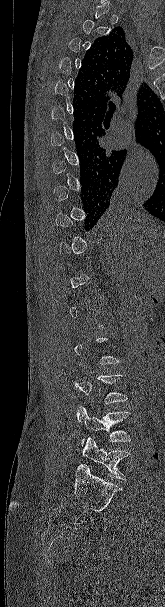
CT spine — sagittal view
Box edges are left/top/right/bottom in pixels.
A vertebra gets a box only on the slices from the first to the last where its cross-section is at least a third of its largest; on a slice outside that range it gets none.
| vertebra | x1 | y1 | x2 | y2 |
|---|---|---|---|---|
| L5 | 82 | 437 | 130 | 480 |
| L4 | 76 | 406 | 131 | 446 |